CT spine; sagittal reformat; bone-window reconstruction; scan covers 23 annotated vertebrae; an area of the scan was removed and filled with constant pixels
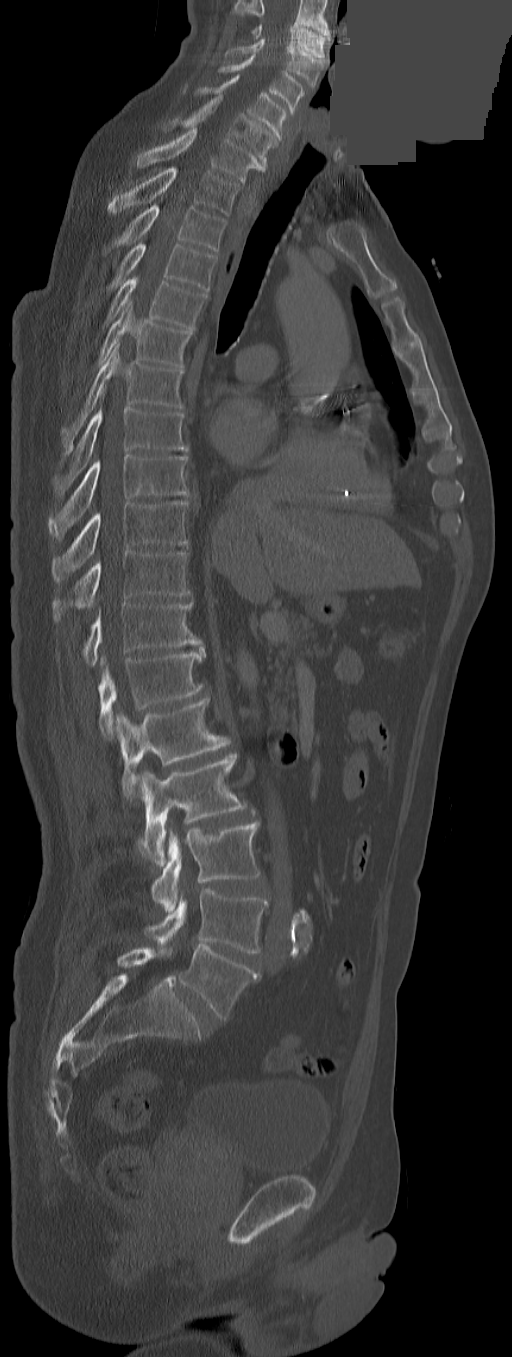 Boxes below are [x1, y1, x2, y2] in pixels.
Labels in this scan begin with C3 at the top and end with L5 at the bottom.
In these labels the spine has a T13, a thirteenth thoracic vertebra, between T12 and L1.
{"vertebrae":{"C3":[252,23,325,58],"C4":[225,39,327,87],"C5":[219,54,306,112],"C6":[195,74,285,139],"C7":[184,95,277,166],"T1":[136,127,265,183],"T2":[108,168,239,214],"T3":[113,205,226,251],"T4":[108,243,216,292],"T5":[105,277,207,330],"T6":[99,301,191,371],"T7":[62,342,182,450],"T8":[53,407,189,496],"T9":[48,454,189,538],"T10":[51,502,188,582],"T11":[53,551,189,621],"T12":[83,602,202,666],"T13":[99,648,205,737],"L1":[115,694,228,800],"L2":[138,754,247,865],"L3":[150,822,260,911],"L4":[146,889,269,953],"L5":[178,944,261,1018]}}